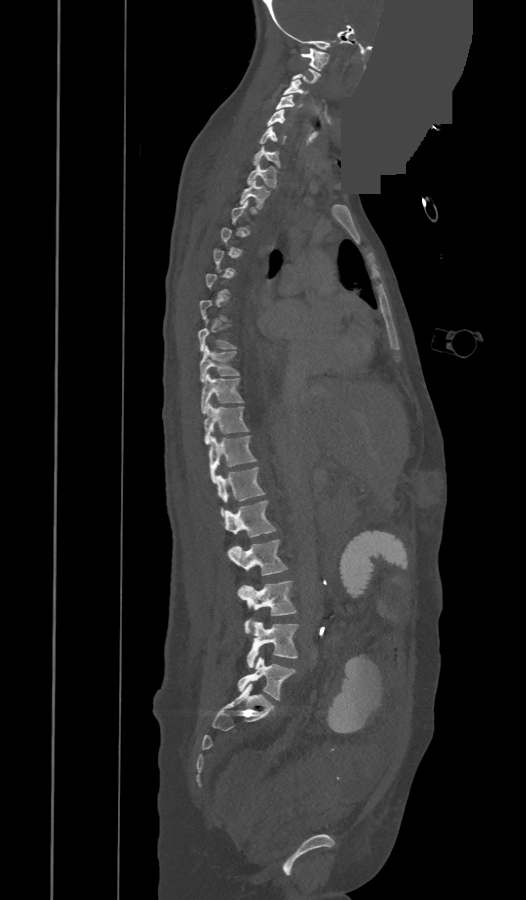

CT spine — sagittal view — Bone window (WL 400, WW 1800) — some of the image was removed or blocked out with constant pixels
Box edges are left/top/right/bottom in pixels. A vertebra gets a box only on the slices from the first to the last where its cross-section is at least a third of its largest; on a slice outside that range it gets none. The labels name an extra thoracic vertebra here, T13, which comes after T12 and before L1. Vertebrae labeled: C1 at left=301, top=48, right=330, bottom=70, C3 at left=283, top=80, right=308, bottom=95, C4 at left=275, top=95, right=294, bottom=109, C5 at left=267, top=109, right=284, bottom=126, C6 at left=259, top=127, right=285, bottom=144, C7 at left=254, top=147, right=280, bottom=168, T1 at left=246, top=165, right=277, bottom=188, T2 at left=240, top=181, right=269, bottom=208, T8 at left=198, top=319, right=236, bottom=351, T9 at left=199, top=346, right=239, bottom=382, T10 at left=201, top=373, right=243, bottom=414, T11 at left=204, top=403, right=249, bottom=444, T12 at left=208, top=436, right=256, bottom=482, T13 at left=216, top=467, right=265, bottom=516, L1 at left=225, top=499, right=275, bottom=537, L2 at left=228, top=539, right=286, bottom=575, L3 at left=238, top=580, right=297, bottom=632, L4 at left=246, top=622, right=298, bottom=667, L5 at left=238, top=657, right=296, bottom=700.